CT spine — sagittal view — W/L 1800/400 HU
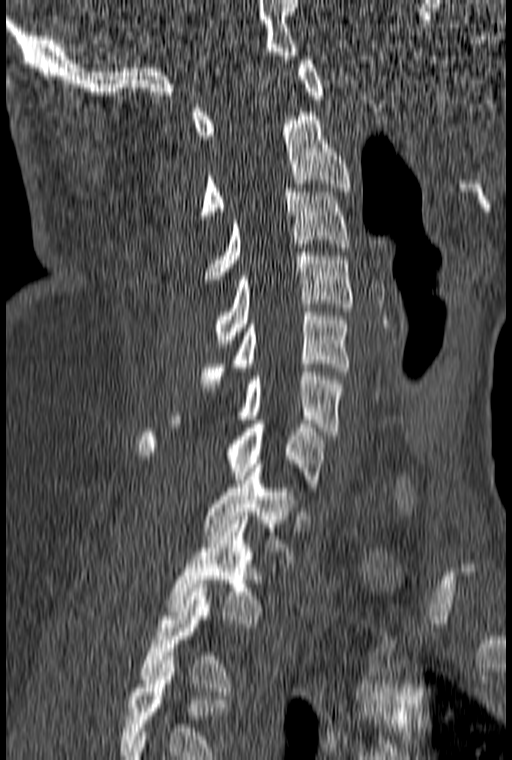

Each box given as x1,y1,x2,y2.
This scan's labels start at C1 at the top and end at T3 at the bottom.
C1: x1=192, y1=56, x2=323, y2=139
C2: x1=200, y1=112, x2=349, y2=219
C3: x1=206, y1=188, x2=349, y2=283
C4: x1=215, y1=252, x2=352, y2=347
C5: x1=200, y1=308, x2=349, y2=387
C6: x1=170, y1=368, x2=343, y2=435
C7: x1=136, y1=420, x2=327, y2=491
T1: x1=203, y1=464, x2=296, y2=563
T2: x1=168, y1=520, x2=266, y2=627
T3: x1=139, y1=584, x2=234, y2=695